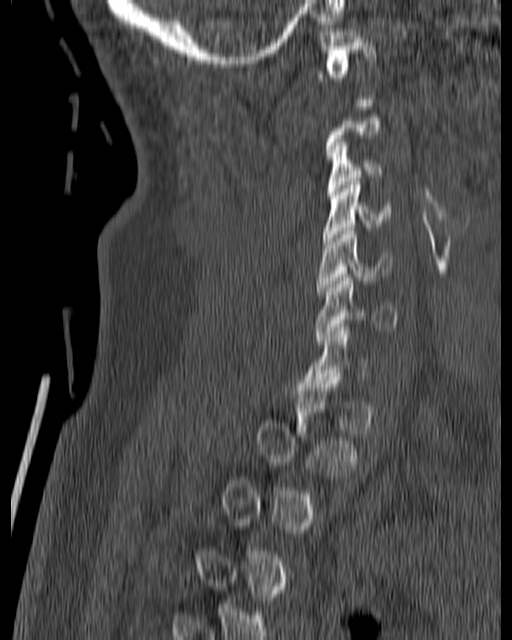 CT spine · sagittal view · 180 mm image width · W/L 1800/400 HU
Box values are [left, top, right, bottom] in pixels.
A vertebra is boxed only from the first to the last slice where its cross-section is at least a third of its largest; slices outside that range leave it without a box.
{"vertebrae":{"C1":[318,28,376,81],"C3":[328,139,384,195],"C4":[322,178,392,244],"C5":[316,228,390,294],"C6":[314,277,398,344]}}